Spine computed tomography; sagittal reformat
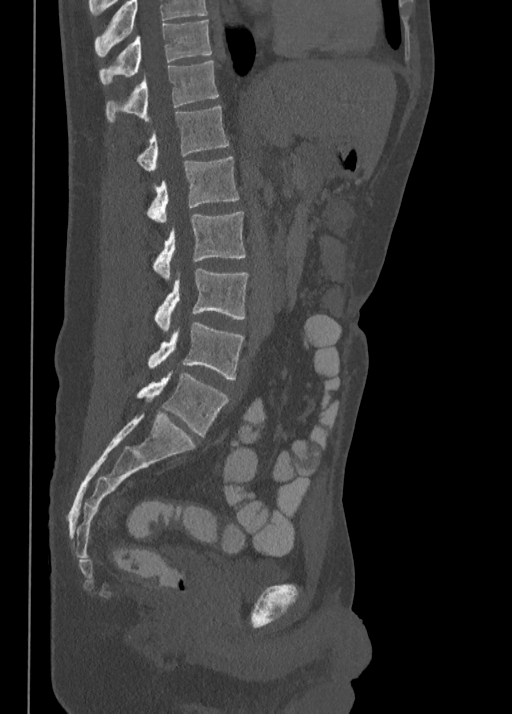
Boxes: x1:y1:x2:y2 in pixels.
The highest labeled vertebra in this scan is T10; the lowest is L5.
L5: 137:373:228:436
L4: 148:321:243:379
L3: 155:269:247:332
L2: 153:212:246:279
L1: 148:157:239:223
T12: 137:105:228:171
T11: 105:59:218:121
T10: 99:20:211:83